CT spine. Sagittal slice 251/512. Bone window (WL 400, WW 1800)
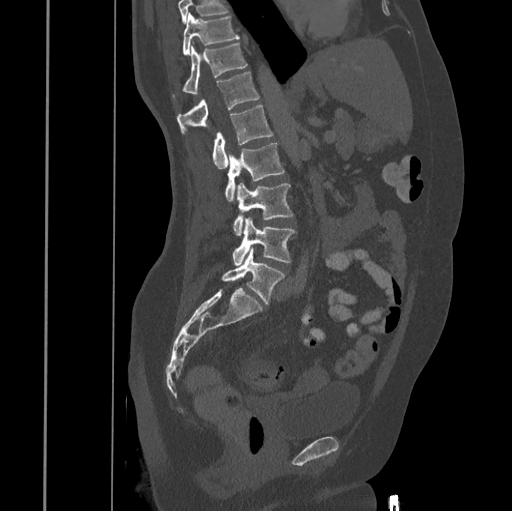

Box values are [left, top, right, bottom] in pixels.
Vertebrae that run past the top of the scan are left unlabeled.
{"vertebrae":{"T10":[183,13,239,55],"T11":[173,42,247,97],"T12":[177,72,259,133],"L1":[213,105,273,168],"L2":[224,143,284,201],"L3":[233,182,293,235],"L4":[232,217,295,266],"L5":[222,247,284,303]}}